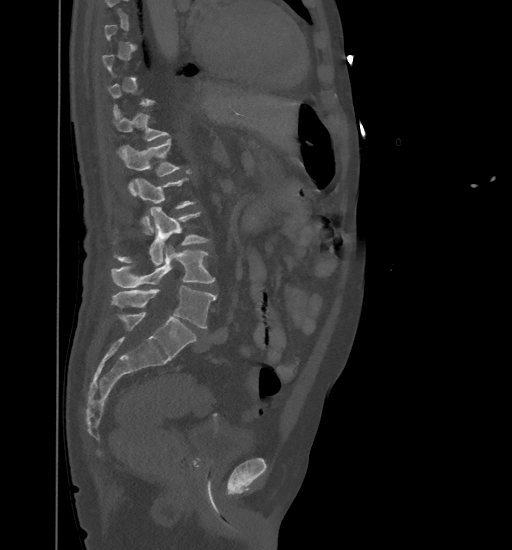
Spine computed tomography · the image is 461 mm wide · sagittal view · bone window · 512x550 px
Boxes below are [x1, y1, x2, y2] in pixels.
A vertebra is boxed only from the first to the last slice where its cross-section is at least a third of its largest; slices outside that range leave it without a box.
{"vertebrae":{"T12":[114,110,169,156],"L1":[120,139,181,195],"L2":[135,178,195,234],"L3":[114,207,209,265],"L4":[112,245,215,288],"L5":[111,286,216,328]}}